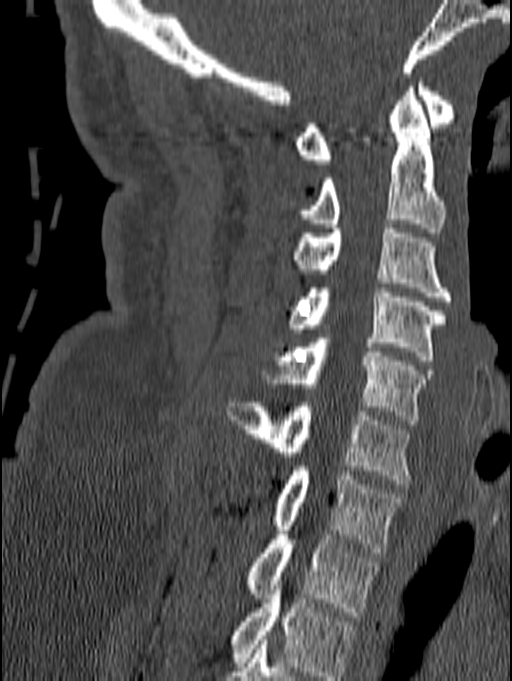

Spine computed tomography · sagittal view · 512x681 px · image width 140 mm
Each box is [x1, y1, x2, y2] in pixels: top-left corner, then bottom-right corner.
This scan's labels start at C1 at the top and end at T1 at the bottom.
{"vertebrae":{"C1":[294,78,455,164],"C2":[301,82,446,232],"C3":[294,229,452,305],"C4":[290,288,447,360],"C5":[265,338,432,424],"C6":[225,402,411,484],"C7":[272,466,403,552],"T1":[246,526,380,616]}}